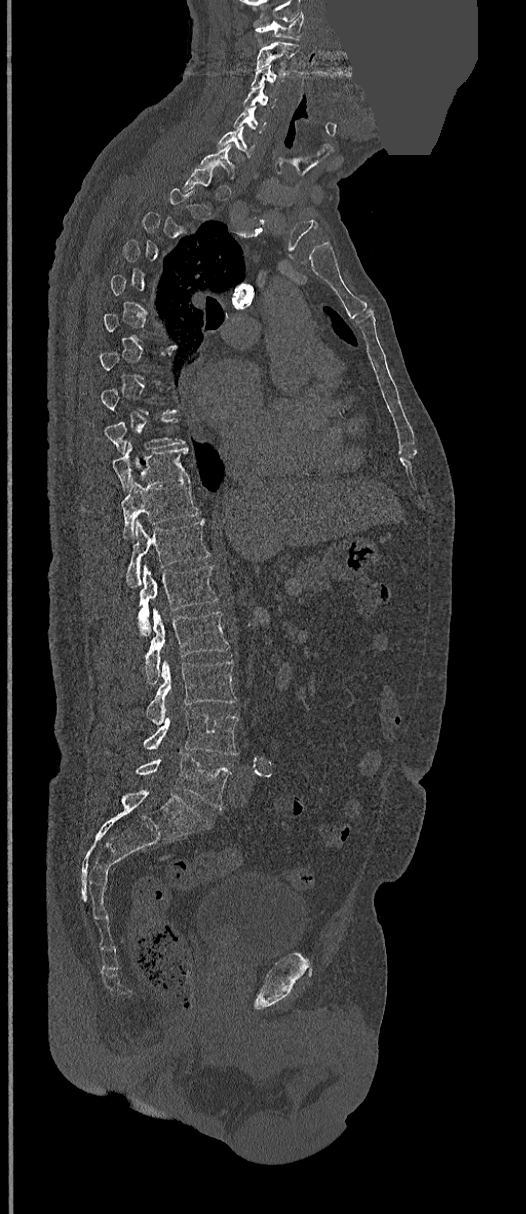 CT, spine; sagittal view; W/L 1800/400 HU; the image spans 368 mm across; 526x1214 px; an area of the scan was removed and filled with constant pixels

Each box given as x1,y1,x2,y2.
Each vertebra is boxed only on the slices from the first to the last where its cross-section reaches a third of its largest, so a slice outside that range leaves it unboxed.
Vertebra bounding boxes:
- C1: x1=256, y1=13, x2=303, y2=39
- C2: x1=257, y1=41, x2=299, y2=69
- C3: x1=251, y1=68, x2=288, y2=87
- C4: x1=242, y1=87, x2=276, y2=108
- C5: x1=233, y1=107, x2=266, y2=133
- C6: x1=217, y1=127, x2=256, y2=158
- C7: x1=198, y1=144, x2=236, y2=179
- T9: x1=104, y1=419, x2=186, y2=453
- T10: x1=111, y1=443, x2=189, y2=490
- T11: x1=121, y1=479, x2=199, y2=539
- T12: x1=125, y1=519, x2=211, y2=588
- L1: x1=137, y1=564, x2=218, y2=636
- L2: x1=144, y1=610, x2=229, y2=683
- L3: x1=147, y1=661, x2=236, y2=723
- L4: x1=143, y1=710, x2=237, y2=755
- L5: x1=136, y1=754, x2=232, y2=809